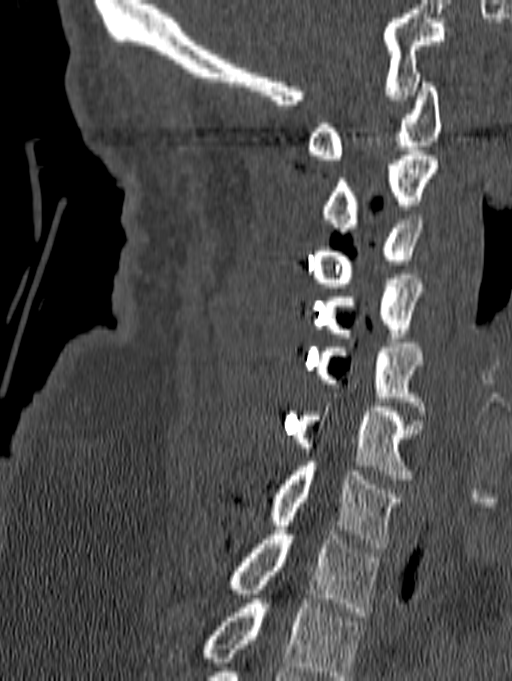 Spine CT · 140 mm wide · sagittal view · Bone window (WL 400, WW 1800) · 512x681 px
Each vertebra maps to its box as [x1, y1, x2, y2], the pixel coordinates of its top-left and bottom-right corners.
In this scan, the topmost labeled vertebra is C1 and the lowest is T1.
{"vertebrae":{"C1":[306,78,441,159],"C2":[323,151,439,232],"C3":[312,215,423,287],"C4":[324,279,428,342],"C5":[314,343,425,415],"C6":[294,379,422,479],"C7":[268,462,403,548],"T1":[228,530,379,616]}}